CT spine — sagittal reformat — Bone window (WL 400, WW 1800) — scan covers 6 annotated vertebrae
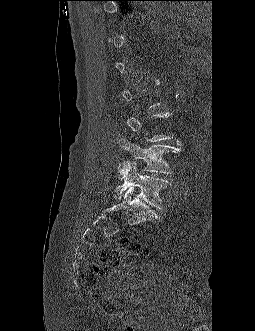
Box edges are left/top/right/bottom in pixels.
Each vertebra is boxed only on the slices from the first to the last where its cross-section reaches a third of its largest, so a slice outside that range leaves it unboxed.
Vertebra bounding boxes:
- L4: left=117, top=138, right=180, bottom=173
- L5: left=115, top=161, right=170, bottom=208